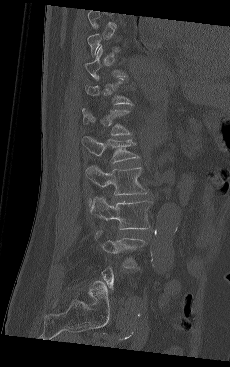

CT, spine; sagittal view; 230x367 px; 230 mm across the image. Box edges are left/top/right/bottom in pixels.
A vertebra is boxed only from the first to the last slice where its cross-section is at least a third of its largest; slices outside that range leave it without a box.
| vertebra | x1 | y1 | x2 | y2 |
|---|---|---|---|---|
| T12 | 82 | 108 | 130 | 135 |
| L1 | 82 | 136 | 139 | 162 |
| L2 | 86 | 165 | 148 | 195 |
| L3 | 90 | 197 | 151 | 229 |
| L4 | 96 | 233 | 145 | 268 |